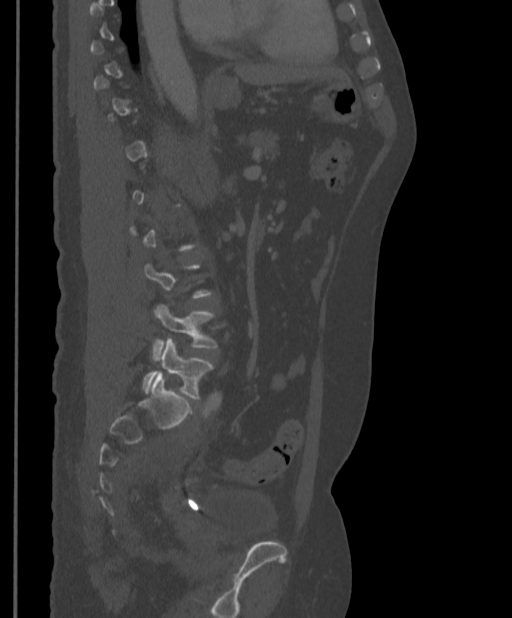 Computed tomography of the spine. sagittal view. bone-window reconstruction. 512x618 px
A vertebra is boxed only from the first to the last slice where its cross-section is at least a third of its largest; slices outside that range leave it without a box.
<vertebrae><v name="L4" x1="153" y1="304" x2="217" y2="358"/><v name="L5" x1="142" y1="338" x2="213" y2="399"/></vertebrae>